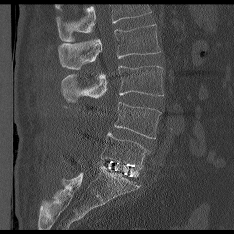 CT spine; the image spans 234 mm across; sagittal view
Each box given as x1,y1,x2,y2.
A vertebra cut off by the top edge of the scan is not labeled and has no box.
Vertebra bounding boxes:
- L5: x1=101, y1=132, x2=147, y2=169
- L4: x1=114, y1=102, x2=160, y2=138
- L3: x1=61, y1=66, x2=163, y2=102
- L2: x1=58, y1=25, x2=160, y2=69